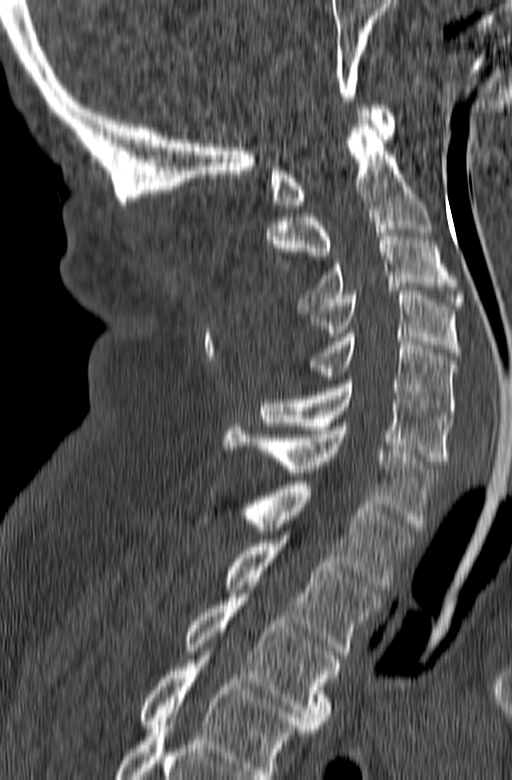

CT — sagittal view
Box edges are left/top/right/bottom in pixels.
In this scan, the topmost labeled vertebra is C1 and the lowest is T3.
Vertebra bounding boxes:
- C1: left=270, top=105, right=395, bottom=208
- C2: left=267, top=120, right=431, bottom=274
- C3: left=299, top=229, right=464, bottom=309
- C4: left=305, top=291, right=460, bottom=356
- C5: left=299, top=334, right=456, bottom=418
- C6: left=260, top=380, right=452, bottom=464
- C7: left=224, top=423, right=438, bottom=530
- T1: left=200, top=481, right=415, bottom=589
- T2: left=224, top=539, right=379, bottom=658
- T3: left=184, top=597, right=341, bottom=728